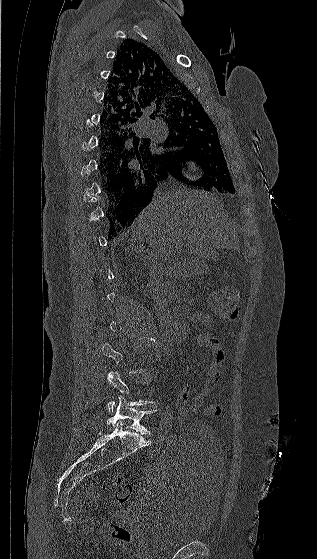

CT spine — sagittal view — 317x559 px — image width 317 mm
Boxes: x1:y1:x2:y2 in pixels. A vertebra gets a box only on the slices from the first to the last where its cross-section is at least a third of its largest; on a slice outside that range it gets none. 2 vertebrae labeled — L5 at 107:395:156:434; L4 at 105:371:154:413.